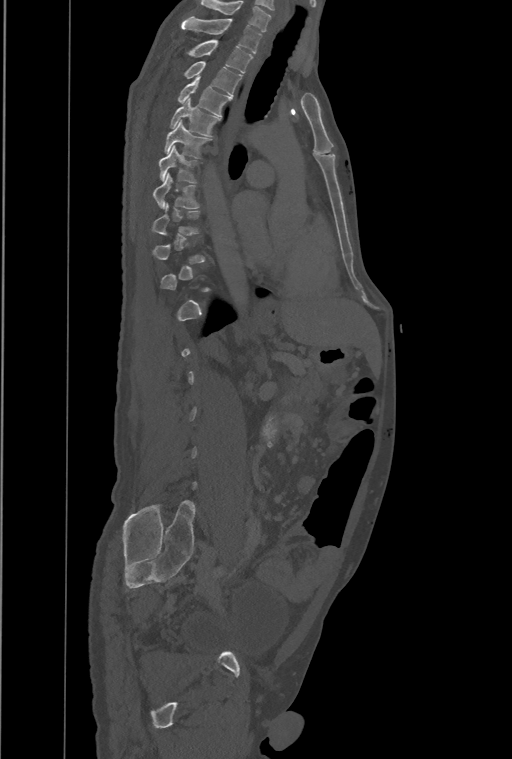
Spine computed tomography. sagittal view. bone window. image width 461 mm. Each row gives a vertebra's box as x1, y1, x2, y2 in pixels: top-left corner, then bottom-right corner.
A vertebra gets a box only on the slices from the first to the last where its cross-section is at least a third of its largest; on a slice outside that range it gets none.
Labels in this scan begin with T1 at the top and end with L4 at the bottom.
| vertebra | x1 | y1 | x2 | y2 |
|---|---|---|---|---|
| T1 | 182 | 17 | 262 | 53 |
| T2 | 189 | 40 | 253 | 73 |
| T3 | 185 | 61 | 242 | 95 |
| T4 | 178 | 76 | 231 | 116 |
| T5 | 171 | 98 | 219 | 136 |
| T6 | 165 | 121 | 210 | 157 |
| T7 | 158 | 146 | 196 | 183 |
| T8 | 153 | 174 | 198 | 208 |